CT spine; Sagittal slice 231/512; 576x488 px
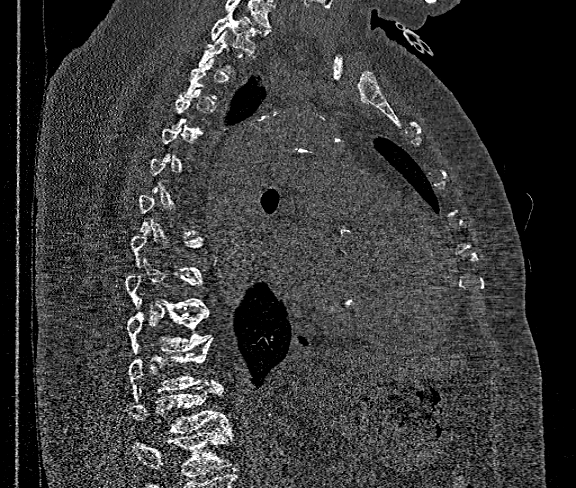

Columns x1, y1, x2, y2 give each box's top-left and bottom-right pixels.
A vertebra is boxed only from the first to the last slice where its cross-section is at least a third of its largest; slices outside that range leave it without a box.
No box is given to a vertebra that the bottom edge of the scan cuts off.
| vertebra | x1 | y1 | x2 | y2 |
|---|---|---|---|---|
| T12 | 126 | 386 | 231 | 433 |
| T11 | 128 | 337 | 215 | 391 |
| T10 | 126 | 301 | 212 | 351 |
| T1 | 211 | 8 | 254 | 52 |